CT, spine; sagittal view; image width 210 mm; bone-window reconstruction
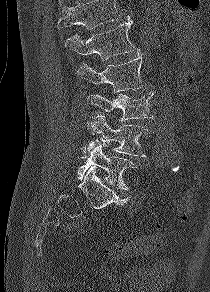 Boxes: x1 y1 x2 y2 (pixel coords, space-separated).
Vertebrae that run past the top of the scan are left unlabeled.
Vertebra bounding boxes:
- L5: 76 144 137 190
- L4: 86 115 151 157
- L3: 87 91 153 120
- L2: 77 52 144 92
- L1: 65 16 135 60